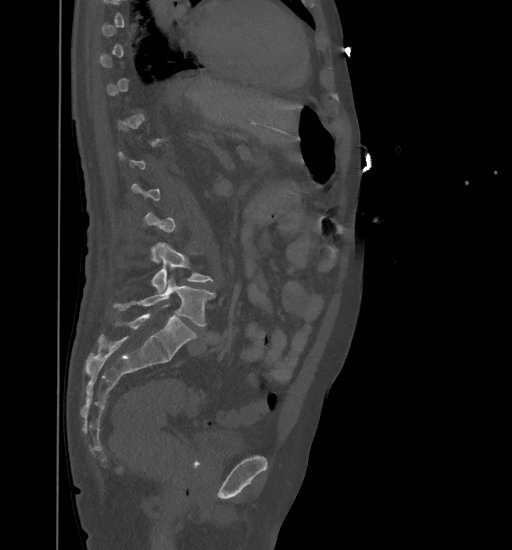

CT spine; sagittal view; 512x550 px

Boxes are (x1, y1, x2, y2) in pixels. Each vertebra is boxed only on the slices from the first to the last where its cross-section reaches a third of its largest, so a slice outside that range leaves it unboxed. The labeled vertebrae in this slice are: L5 at (115, 276, 214, 326), L4 at (151, 242, 213, 292).